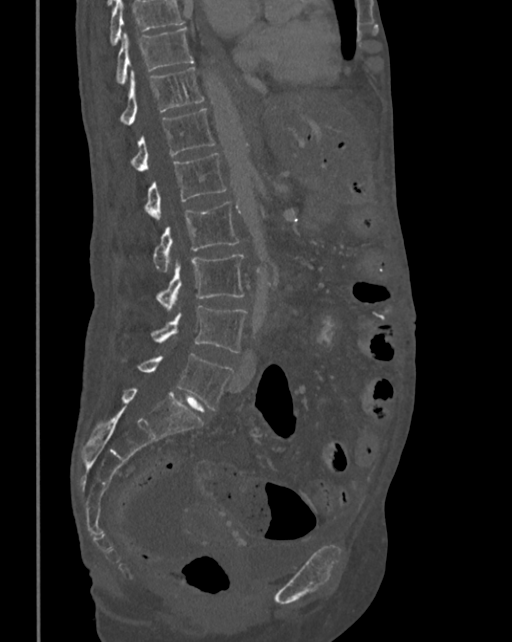
CT, spine. sagittal reformat. the image is 342 mm wide. Bone window (WL 400, WW 1800). 512x642 px
A vertebra cut off by the top edge of the scan is not labeled and has no box.
<vertebrae><v name="L5" x1="137" y1="354" x2="232" y2="410"/><v name="L4" x1="151" y1="306" x2="246" y2="353"/><v name="L3" x1="155" y1="255" x2="244" y2="311"/><v name="L2" x1="152" y1="201" x2="240" y2="271"/><v name="L1" x1="145" y1="153" x2="226" y2="219"/><v name="T12" x1="130" y1="108" x2="214" y2="172"/><v name="T11" x1="120" y1="68" x2="204" y2="125"/><v name="T10" x1="115" y1="27" x2="193" y2="85"/></vertebrae>